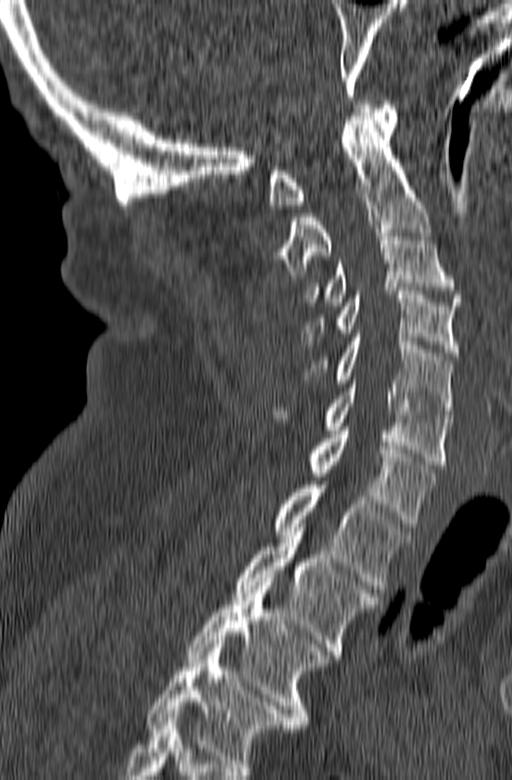
CT, spine; sagittal view; Bone window (WL 400, WW 1800)

Box edges are left/top/right/bottom in pixels.
In this scan, the topmost labeled vertebra is C1 and the lowest is T3.
Vertebra bounding boxes:
- C1: left=267, top=101, right=397, bottom=208
- C2: left=277, top=116, right=431, bottom=278
- C3: left=305, top=229, right=461, bottom=305
- C4: left=301, top=287, right=459, bottom=356
- C5: left=302, top=334, right=453, bottom=418
- C6: left=270, top=380, right=452, bottom=468
- C7: left=308, top=427, right=434, bottom=527
- T1: left=274, top=481, right=409, bottom=592
- T2: left=234, top=528, right=378, bottom=658
- T3: left=187, top=578, right=329, bottom=728